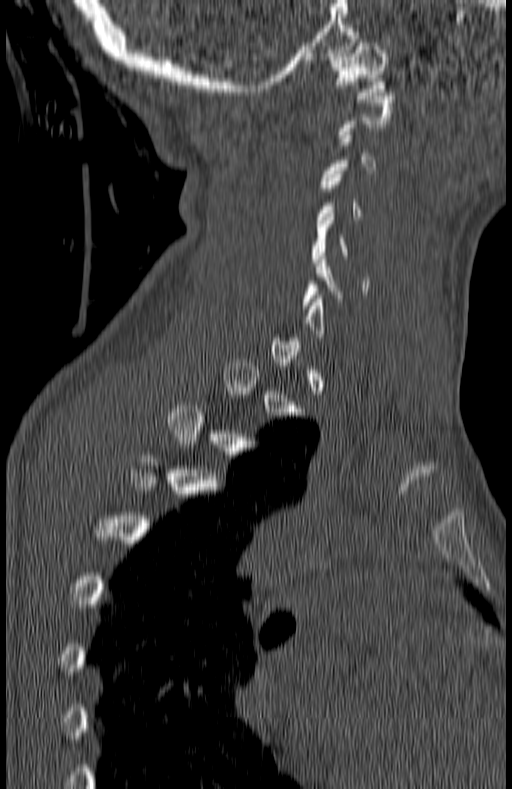
CT spine. sagittal view
Not every vertebra on this slice has a box: a vertebra is boxed only from the first to the last slice where its cross-section is at least a third of its largest, and this slice is outside that range for at least one of them.
<vertebrae><v name="C1" x1="331" y1="39" x2="387" y2="99"/><v name="C5" x1="309" y1="210" x2="350" y2="262"/></vertebrae>